Spine computed tomography — Sagittal slice 247/512 — 526x1214 px — scan covers 24 annotated vertebrae — part of the image has been replaced by a constant value
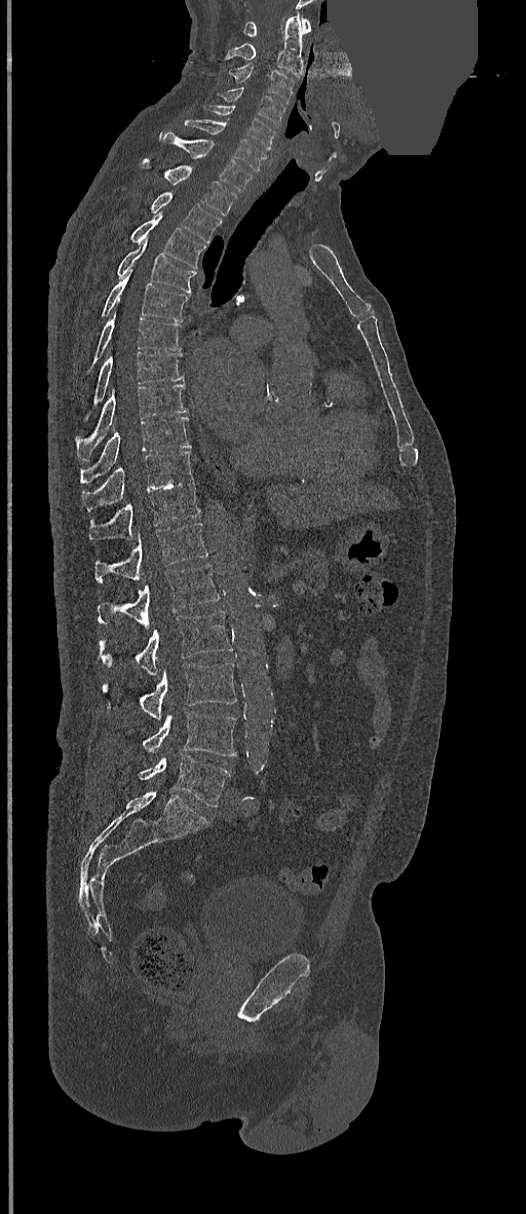 Box edges are left/top/right/bottom in pixels.
L5: left=139, top=754, right=230, bottom=808
L4: left=142, top=711, right=236, bottom=756
L3: left=103, top=663, right=236, bottom=718
L2: left=99, top=610, right=232, bottom=673
L1: left=97, top=564, right=220, bottom=626
T12: left=94, top=523, right=208, bottom=583
T11: left=88, top=481, right=200, bottom=540
T10: left=82, top=450, right=193, bottom=512
T9: left=81, top=417, right=190, bottom=483
T8: left=77, top=384, right=187, bottom=456
T7: left=94, top=351, right=183, bottom=402
T6: left=94, top=310, right=180, bottom=360
T5: left=103, top=268, right=189, bottom=322
T4: left=117, top=239, right=194, bottom=293
T3: left=131, top=214, right=206, bottom=268
T2: left=151, top=191, right=222, bottom=243
T1: left=142, top=163, right=236, bottom=215
C7: left=161, top=131, right=253, bottom=192
C6: left=184, top=119, right=266, bottom=171
C5: left=204, top=106, right=276, bottom=149
C4: left=220, top=87, right=285, bottom=126
C3: left=229, top=64, right=296, bottom=103
C2: left=224, top=13, right=303, bottom=76
C1: left=244, top=17, right=311, bottom=36